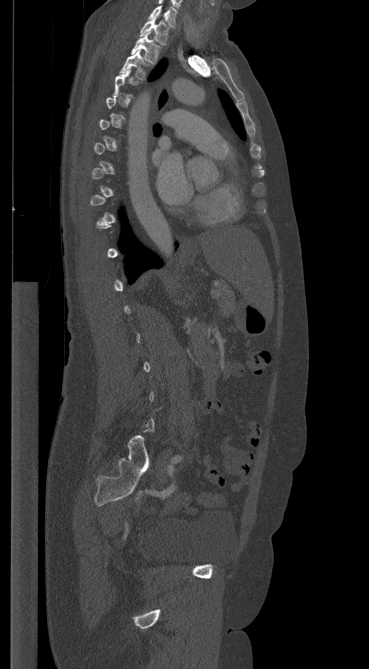
Spine CT — sagittal view
Boxes: x1:y1:x2:y2 in pixels. Not every vertebra on this slice has a box: a vertebra is boxed only from the first to the last slice where its cross-section is at least a third of its largest, and this slice is outside that range for at least one of them. 4 vertebrae labeled — C7 at 149:5:176:27; T1 at 140:18:168:44; T2 at 131:32:160:63; T3 at 120:50:149:79.